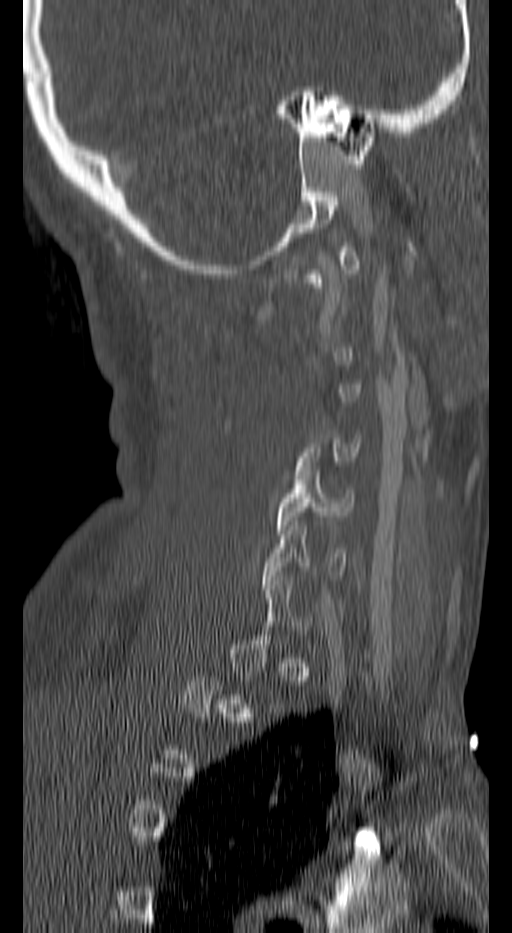 Spine computed tomography; sagittal view; image 140 mm wide
Bounding boxes as [x1, y1, x2, y2] in pixel coordinates.
A vertebra gets a box only on the slices from the first to the last where its cross-section is at least a third of its largest; on a slice outside that range it gets none.
Vertebra bounding boxes:
- C5: [276, 466, 353, 534]
- C6: [264, 521, 346, 589]